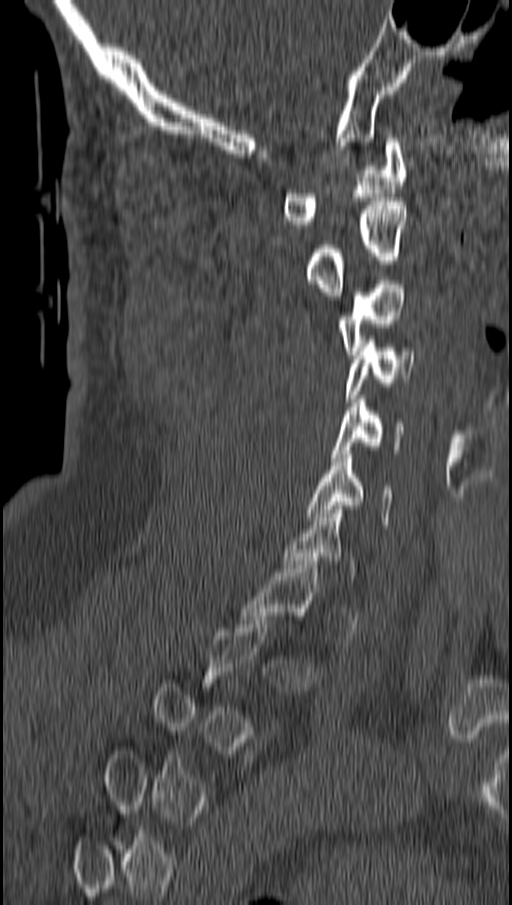 CT spine — sagittal reformat — 162 mm wide

Box edges are left/top/right/bottom in pixels.
A vertebra gets a box only on the slices from the first to the last where its cross-section is at least a third of its largest; on a slice outside that range it gets none.
Vertebra bounding boxes:
- C1: left=282, top=138, right=407, bottom=228
- C2: left=304, top=201, right=405, bottom=295
- C3: left=336, top=280, right=407, bottom=355
- C4: left=346, top=336, right=414, bottom=402
- C5: left=330, top=399, right=405, bottom=461
- C6: left=308, top=450, right=392, bottom=524